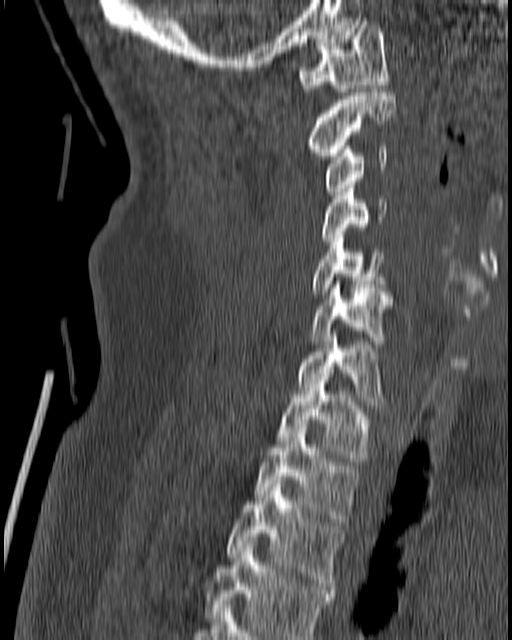

CT; image 180 mm wide; sagittal view
Each box is [x1, y1, x2, y2] in pixels: top-left corner, then bottom-right corner.
{"vertebrae":{"T4":[204,544,335,639],"T3":[226,480,344,589],"T2":[253,427,358,525],"T1":[277,380,373,461],"C7":[297,331,384,404],"C6":[308,281,392,347],"C5":[309,235,384,294],"C4":[319,185,387,248],"C3":[325,146,387,195],"C2":[305,92,395,159],"C1":[299,21,390,91]}}